CT, spine; 340 mm wide; Sagittal slice 257/512; scan covers 8 annotated vertebrae
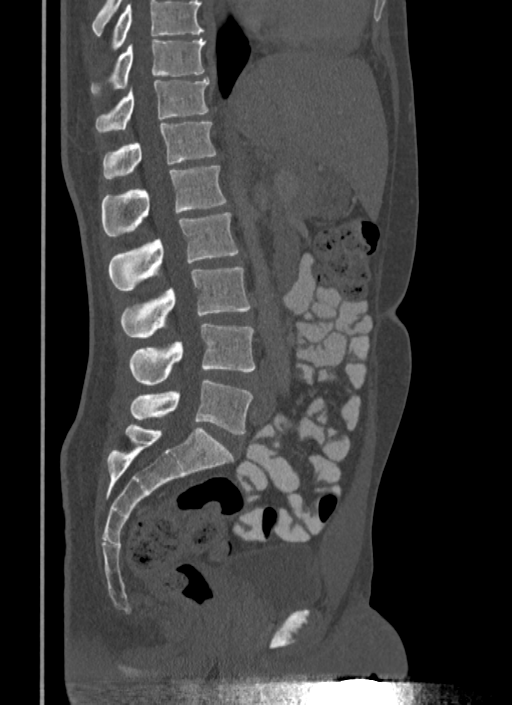

Boxes: x1 y1 x2 y2 (pixel coords, space-separated).
Where the top of the scan cuts through a vertebra, that vertebra gets no label or box.
T10: 92 38 205 94
T11: 95 78 208 132
T12: 102 122 216 178
L1: 101 166 226 235
L2: 108 212 238 290
L3: 120 267 250 338
L4: 129 324 255 385
L5: 129 379 253 434